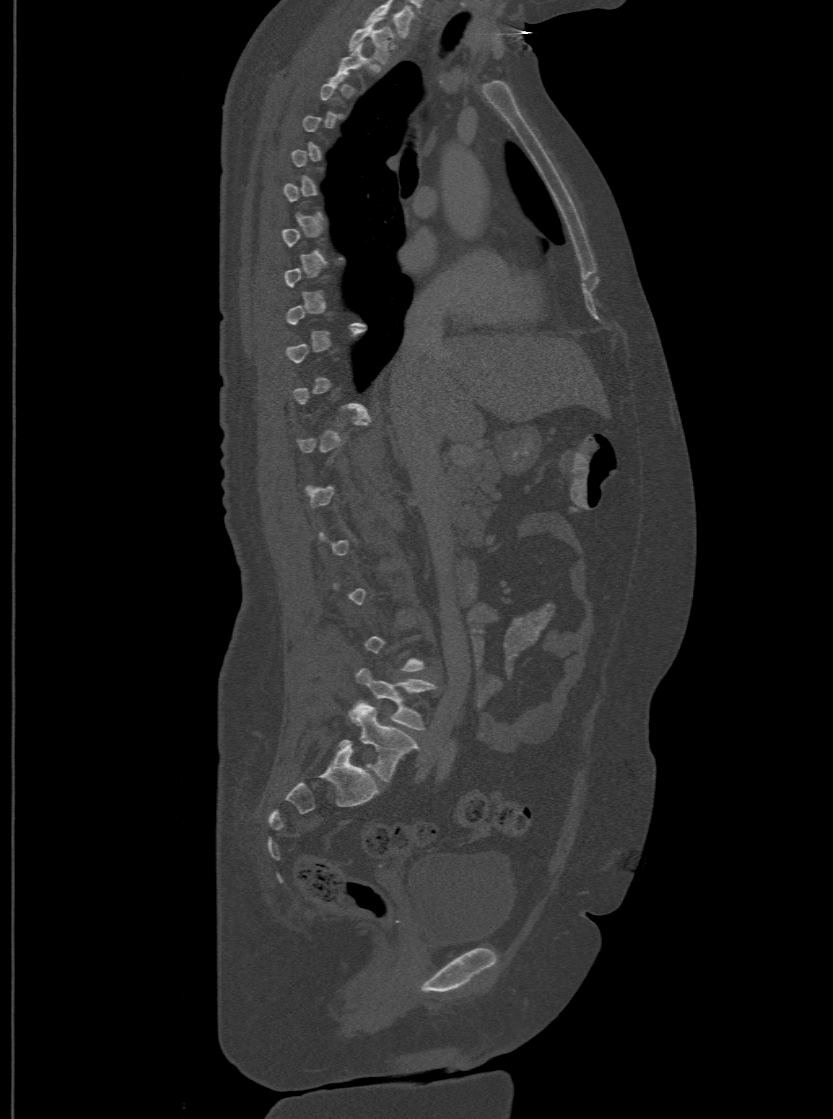 CT spine · sagittal view · bone window
Bounding boxes as [x1, y1, x2, y2] in pixel coordinates. Each vertebra is boxed only on the slices from the first to the last where its cross-section reaches a third of its largest, so a slice outside that range leaves it unboxed. In this scan, the topmost labeled vertebra is T1 and the lowest is L6. In these labels the spine has an L6, a sixth lumbar vertebra below L5. Vertebrae labeled: L6 at [339, 701, 417, 782], L5 at [355, 668, 435, 730], T1 at [348, 23, 393, 62].